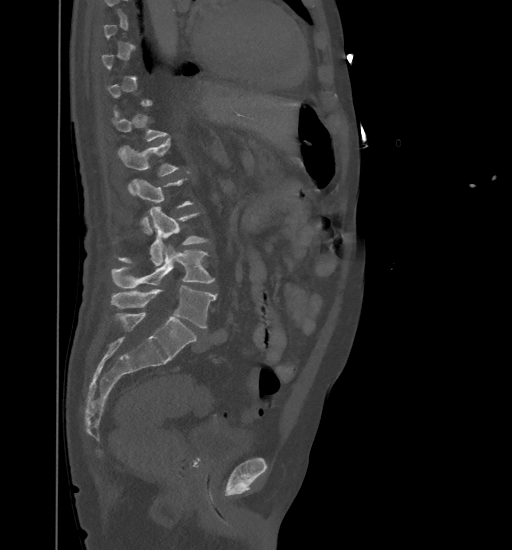 Spine computed tomography; sagittal view; bone-window reconstruction; image 461 mm wide; 512x550 px
Each box given as x1,y1,x2,y2. Each vertebra is boxed only on the slices from the first to the last where its cross-section reaches a third of its largest, so a slice outside that range leaves it unboxed. Vertebrae labeled: L1 at x1=118, y1=139, x2=179, y2=195, L2 at x1=133, y1=178, x2=193, y2=233, L3 at x1=117, y1=207, x2=208, y2=266, L4 at x1=112, y1=244, x2=214, y2=288, L5 at x1=111, y1=286, x2=216, y2=328.